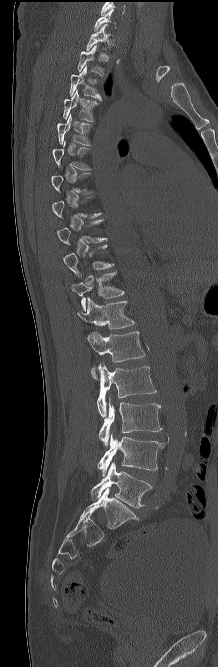
Spine computed tomography · sagittal view · Bone window (WL 400, WW 1800) · the image spans 218 mm across

Each vertebra is boxed only on the slices from the first to the last where its cross-section reaches a third of its largest, so a slice outside that range leaves it unboxed.
<vertebrae><v name="T1" x1="86" y1="24" x2="110" y2="50"/><v name="T2" x1="77" y1="45" x2="103" y2="76"/><v name="T3" x1="70" y1="66" x2="101" y2="99"/><v name="T4" x1="63" y1="89" x2="98" y2="121"/><v name="T5" x1="57" y1="114" x2="91" y2="145"/><v name="T10" x1="63" y1="245" x2="113" y2="277"/><v name="T11" x1="71" y1="270" x2="124" y2="311"/><v name="T12" x1="77" y1="297" x2="134" y2="329"/><v name="L1" x1="87" y1="331" x2="145" y2="378"/><v name="L2" x1="97" y1="364" x2="156" y2="417"/><v name="L3" x1="99" y1="398" x2="162" y2="446"/><v name="L4" x1="97" y1="433" x2="165" y2="476"/><v name="L5" x1="91" y1="462" x2="152" y2="507"/></vertebrae>